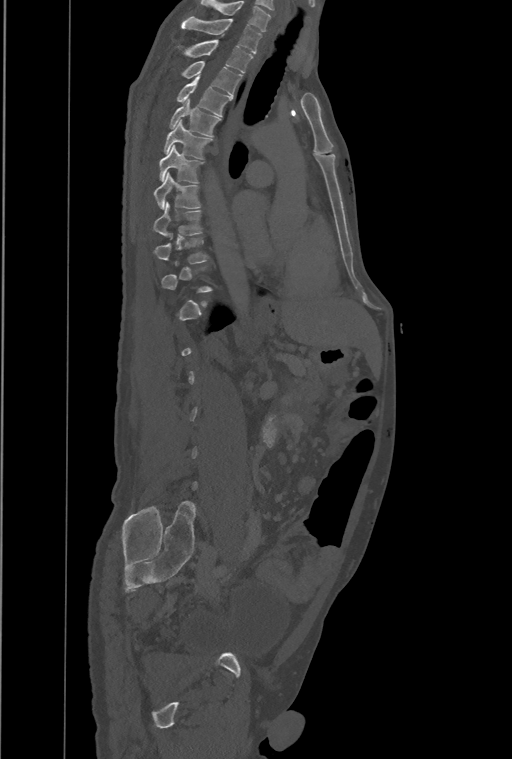 CT spine; sagittal view; W/L 1800/400 HU; image 461 mm wide
Boxes: x1:y1:x2:y2 in pixels. Not every vertebra on this slice has a box: a vertebra is boxed only from the first to the last slice where its cross-section is at least a third of its largest, and this slice is outside that range for at least one of them. This scan's labels start at T1 at the top and end at L4 at the bottom. 9 vertebrae labeled — T1 at 182:17:262:53; T2 at 185:40:253:73; T3 at 183:61:242:95; T4 at 177:76:231:116; T5 at 170:99:221:136; T6 at 164:120:212:158; T7 at 158:146:202:183; T8 at 153:172:200:208; T9 at 153:202:201:236.